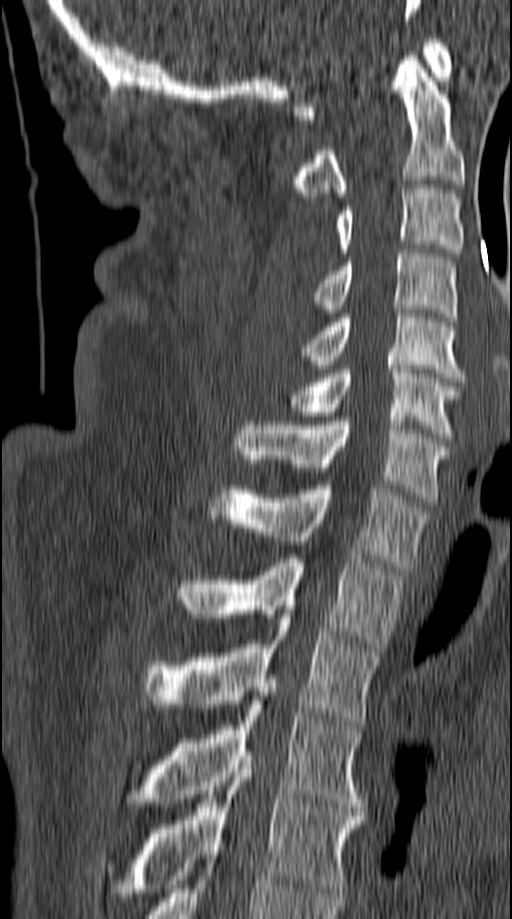 CT, spine; sagittal view; 512x919 px

Each box given as x1,y1,x2,y2.
C1: x1=293, y1=39, x2=451, y2=119
C2: x1=293, y1=56, x2=464, y2=197
C3: x1=335, y1=185, x2=464, y2=257
C4: x1=313, y1=249, x2=457, y2=321
C5: x1=303, y1=305, x2=466, y2=381
C6: x1=286, y1=365, x2=461, y2=441
C7: x1=235, y1=417, x2=450, y2=502
T1: x1=207, y1=481, x2=426, y2=570
T2: x1=180, y1=554, x2=402, y2=652
T3: x1=142, y1=614, x2=378, y2=725
T4: x1=128, y1=692, x2=364, y2=811
T5: x1=134, y1=756, x2=363, y2=892